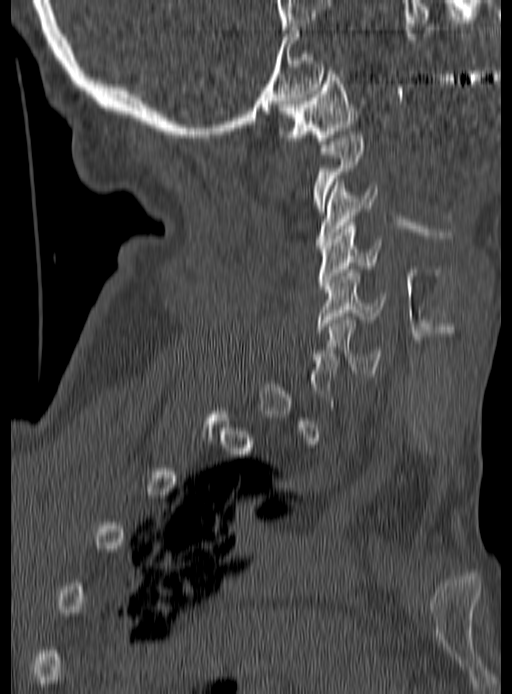 CT, spine; sagittal reformat; 512x694 px

A vertebra is boxed only from the first to the last slice where its cross-section is at least a third of its largest; slices outside that range leave it without a box.
<vertebrae><v name="C1" x1="279" y1="71" x2="357" y2="144"/><v name="C2" x1="313" y1="135" x2="364" y2="215"/><v name="C3" x1="315" y1="182" x2="378" y2="245"/><v name="C4" x1="318" y1="222" x2="381" y2="289"/><v name="C5" x1="316" y1="269" x2="385" y2="332"/><v name="C6" x1="309" y1="317" x2="382" y2="376"/></vertebrae>